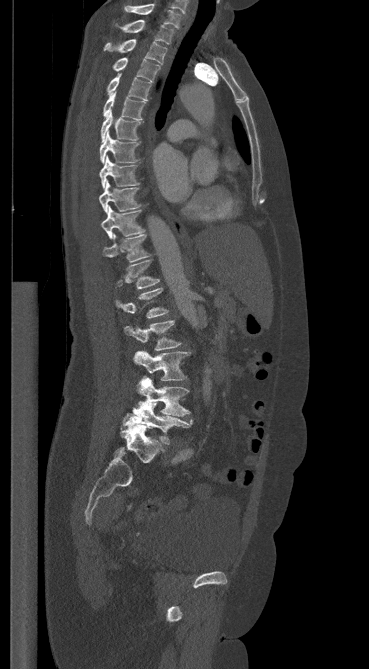
Spine computed tomography; sagittal view; the image spans 369 mm across
<vertebrae><v name="C7" x1="125" y1="4" x2="180" y2="28"/><v name="T1" x1="116" y1="19" x2="173" y2="44"/><v name="T2" x1="104" y1="39" x2="166" y2="64"/><v name="T3" x1="112" y1="57" x2="160" y2="81"/><v name="T4" x1="107" y1="73" x2="150" y2="100"/><v name="T5" x1="103" y1="91" x2="145" y2="120"/><v name="T6" x1="101" y1="111" x2="142" y2="141"/><v name="T7" x1="99" y1="132" x2="139" y2="163"/><v name="T8" x1="99" y1="156" x2="138" y2="188"/><v name="T9" x1="99" y1="180" x2="140" y2="213"/><v name="T10" x1="101" y1="206" x2="144" y2="238"/><v name="T11" x1="103" y1="234" x2="150" y2="262"/><v name="T12" x1="117" y1="260" x2="159" y2="288"/><v name="L1" x1="116" y1="288" x2="168" y2="318"/><v name="L2" x1="124" y1="320" x2="181" y2="350"/><v name="L3" x1="133" y1="351" x2="189" y2="380"/><v name="L4" x1="136" y1="377" x2="189" y2="416"/><v name="L5" x1="123" y1="399" x2="193" y2="444"/></vertebrae>